Spine CT · sagittal reformat · 152x179 px
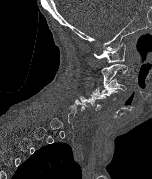

Each row gives a vertebra's box as x1, y1, x2, y2 in pixels: top-left corner, then bottom-right corner.
Each vertebra is boxed only on the slices from the first to the last where its cross-section reaches a third of its largest, so a slice outside that range leaves it unboxed.
| vertebra | x1 | y1 | x2 | y2 |
|---|---|---|---|---|
| C1 | 93 | 43 | 125 | 62 |
| C2 | 101 | 64 | 127 | 87 |
| C3 | 101 | 79 | 127 | 92 |
| C4 | 95 | 87 | 119 | 100 |
| C5 | 79 | 92 | 106 | 110 |